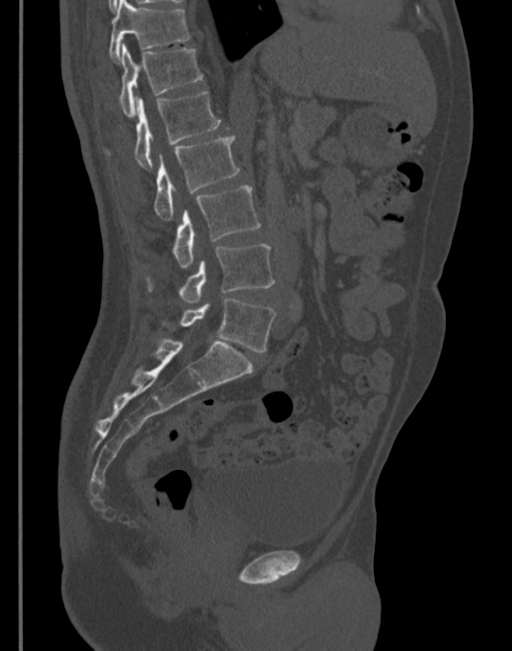 CT spine. sagittal view. the image is 345 mm wide
Coordinates as <box>x1,y1,x2,y2</box>. 7 vertebrae labeled — T11 at <box>108,0,190,61</box>; T12 at <box>118,44,202,117</box>; L1 at <box>135,91,220,169</box>; L2 at <box>154,135,239,220</box>; L3 at <box>172,185,260,267</box>; L4 at <box>148,245,275,303</box>; L5 at <box>164,299,275,352</box>.